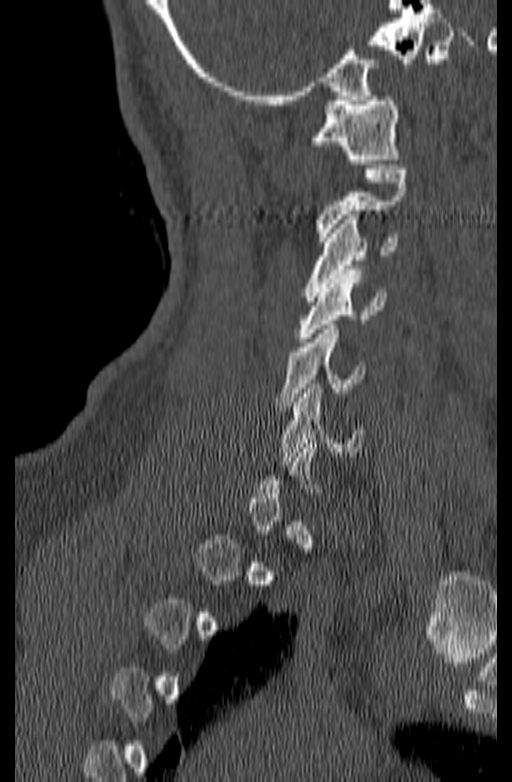
Spine computed tomography; sagittal view
Each vertebra maps to its box as [x1, y1, x2, y2], the pixel coordinates of its top-left and bottom-right corners.
Not every vertebra on this slice has a box: a vertebra is boxed only from the first to the last slice where its cross-section is at least a third of its largest, and this slice is outside that range for at least one of them.
{"vertebrae":{"C1":[308,96,399,164],"C2":[316,169,407,241],"C3":[305,215,397,301],"C4":[297,270,386,342],"C5":[275,325,365,406],"C6":[280,384,362,461]}}